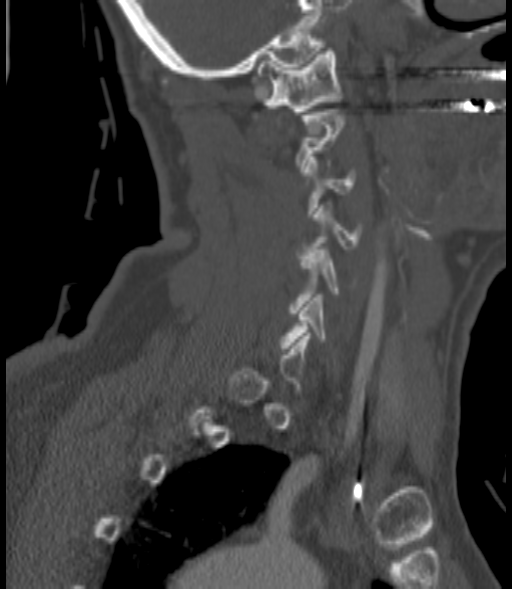

Spine CT. sagittal view
Each box is [x1, y1, x2, y2] in pixels: top-left corner, then bottom-right corner.
A vertebra gets a box only on the slices from the first to the last where its cross-section is at least a third of its largest; on a slice outside that range it gets none.
{"vertebrae":{"C1":[258,48,341,114],"C3":[304,157,355,217],"C4":[298,205,361,255],"C5":[288,250,340,313],"C6":[280,294,325,348]}}